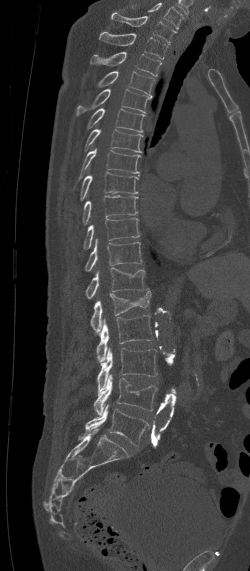
Spine CT · sagittal reformat · W/L 1800/400 HU · image 250 mm wide. Each row gives a vertebra's box as x1, y1, x2, y2 in pixels: top-left corner, then bottom-right corner.
In this scan, the topmost labeled vertebra is C7 and the lowest is L5.
| vertebra | x1 | y1 | x2 | y2 |
|---|---|---|---|---|
| C7 | 111 | 12 | 177 | 45 |
| T1 | 99 | 32 | 168 | 59 |
| T2 | 90 | 52 | 161 | 76 |
| T3 | 96 | 71 | 154 | 96 |
| T4 | 77 | 89 | 150 | 115 |
| T5 | 86 | 108 | 145 | 132 |
| T6 | 84 | 129 | 142 | 152 |
| T7 | 75 | 148 | 140 | 186 |
| T8 | 80 | 172 | 139 | 200 |
| T9 | 82 | 196 | 137 | 224 |
| T10 | 83 | 218 | 140 | 248 |
| T11 | 85 | 239 | 141 | 271 |
| T12 | 85 | 267 | 146 | 298 |
| L1 | 90 | 288 | 151 | 333 |
| L2 | 96 | 315 | 154 | 362 |
| L3 | 97 | 348 | 156 | 390 |
| L4 | 93 | 374 | 158 | 415 |
| L5 | 77 | 405 | 149 | 444 |